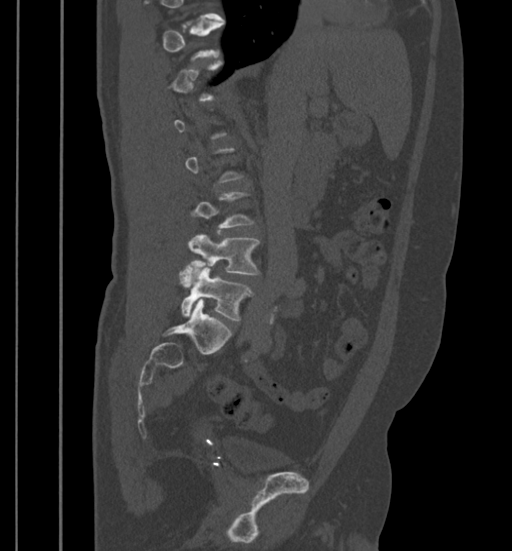

Computed tomography of the spine; sagittal view
Not every vertebra on this slice has a box: a vertebra is boxed only from the first to the last slice where its cross-section is at least a third of its largest, and this slice is outside that range for at least one of them.
<vertebrae><v name="L5" x1="179" y1="266" x2="253" y2="320"/><v name="L4" x1="187" y1="233" x2="259" y2="274"/></vertebrae>